CT spine · Sagittal slice 70/177 · bone-window reconstruction · 177x300 px
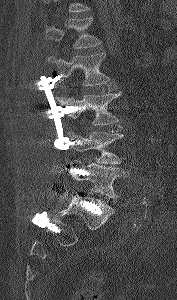 Each box given as x1,y1,x2,y2.
Where the top of the scan cuts through a vertebra, that vertebra gets no label or box.
Vertebra bounding boxes:
- L5: x1=69, y1=160, x2=127, y2=199
- L4: x1=65, y1=131, x2=123, y2=164
- L3: x1=60, y1=92, x2=121, y2=125
- L2: x1=47, y1=53, x2=111, y2=85
- L1: x1=45, y1=17, x2=101, y2=48